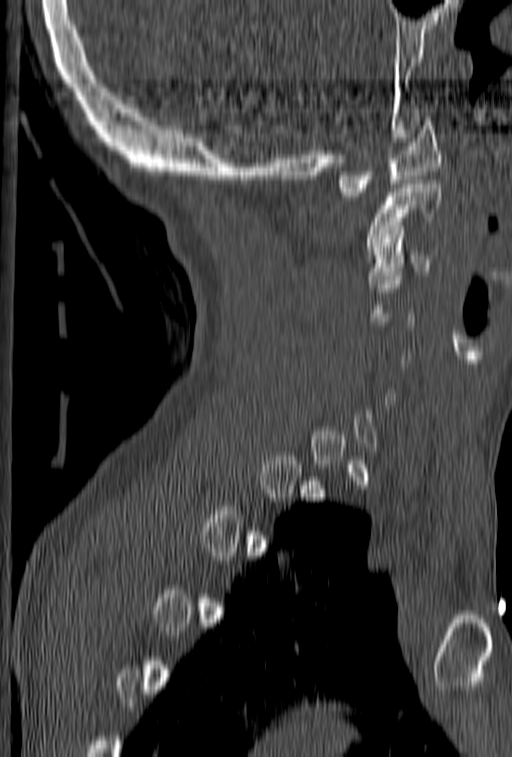 Spine computed tomography — sagittal view. Box edges are left/top/right/bottom in pixels.
A vertebra is boxed only from the first to the last slice where its cross-section is at least a third of its largest; slices outside that range leave it without a box.
Vertebra bounding boxes:
- C1: left=337, top=121, right=442, bottom=196
- C2: left=366, top=180, right=441, bottom=250
- C3: left=367, top=238, right=431, bottom=283